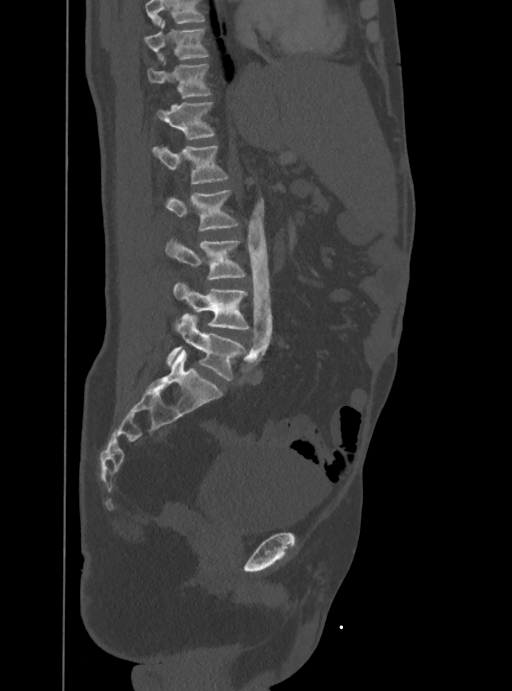

CT — image 388 mm wide — sagittal view — Bone window (WL 400, WW 1800) — 512x691 px
Each box is [x1, y1, x2, y2] in pixels: top-left corner, then bottom-right corner.
No box is given to a vertebra that the top edge of the scan cuts off.
{"vertebrae":{"T10":[145,18,209,61],"T11":[148,59,211,98],"T12":[156,101,215,139],"L1":[152,145,228,183],"L2":[163,190,239,231],"L3":[165,238,246,280],"L4":[173,281,250,329],"L5":[166,314,246,380]}}